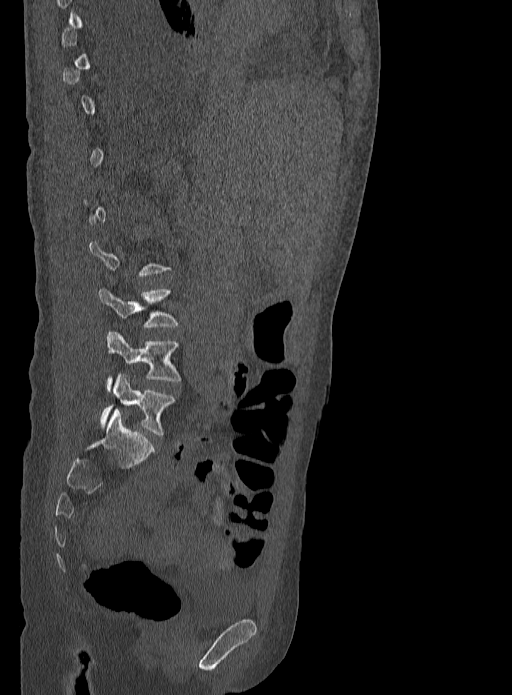

Computed tomography of the spine — sagittal view — W/L 1800/400 HU — 512x695 px
Bounding boxes as [x1, y1, x2, y2] in pixel coordinates. A vertebra gets a box only on the slices from the first to the last where its cross-section is at least a third of its largest; on a slice outside that range it gets none. Vertebrae labeled: L5 at [100, 374, 176, 436], L4 at [106, 331, 182, 390], L3 at [98, 288, 179, 328].